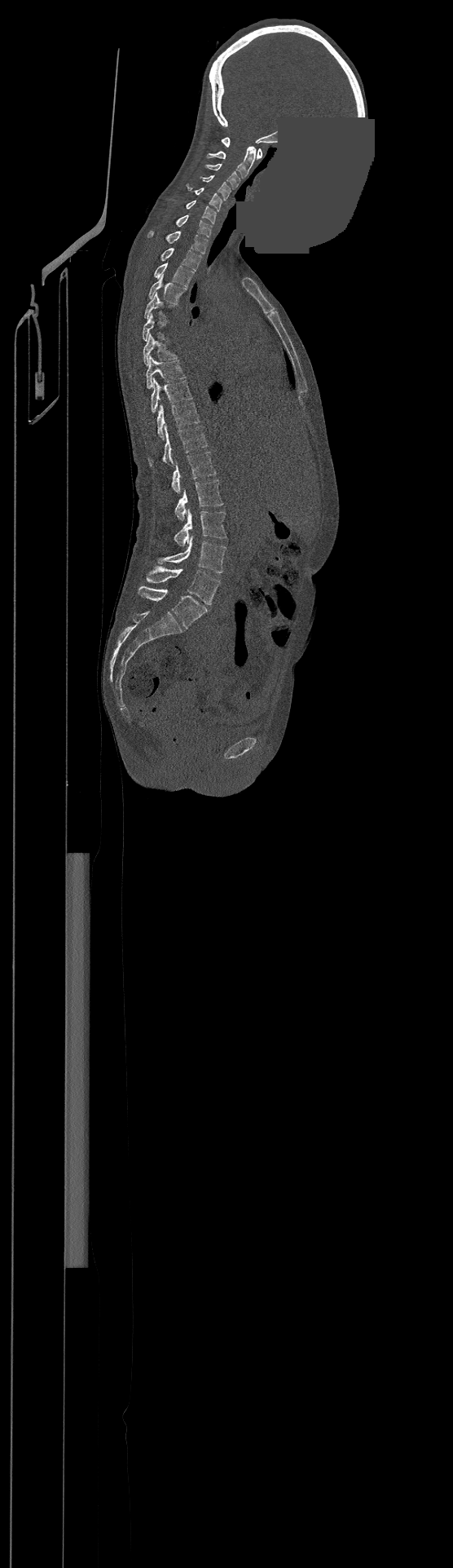

CT, spine · sagittal view · Bone window (WL 400, WW 1800) · 453x1568 px · a portion of the image is blanked out (constant pixel value)

Bounding boxes as [x1, y1, x2, y2] in pixel coordinates.
Each vertebra is boxed only on the slices from the first to the last where its cross-section reaches a third of its largest, so a slice outside that range leaves it unboxed.
The highest labeled vertebra in this scan is C1; the lowest is L4.
C1: [222, 136, 262, 159]
C2: [206, 147, 256, 178]
C3: [205, 164, 240, 188]
C4: [200, 175, 231, 200]
C5: [187, 183, 222, 211]
C6: [186, 200, 216, 223]
C7: [176, 214, 213, 237]
T1: [147, 231, 208, 254]
T2: [161, 248, 200, 271]
T3: [154, 263, 193, 286]
T4: [148, 275, 186, 303]
T5: [144, 294, 174, 319]
T7: [143, 334, 177, 365]
T8: [146, 356, 185, 388]
T9: [152, 378, 192, 413]
T10: [156, 402, 199, 439]
T11: [148, 426, 208, 466]
T12: [172, 451, 216, 492]
L1: [175, 480, 223, 521]
L2: [174, 509, 226, 546]
L3: [157, 536, 226, 572]
L4: [147, 566, 220, 604]